Spine computed tomography; Sagittal slice 355/512; W/L 1800/400 HU; image 162 mm wide
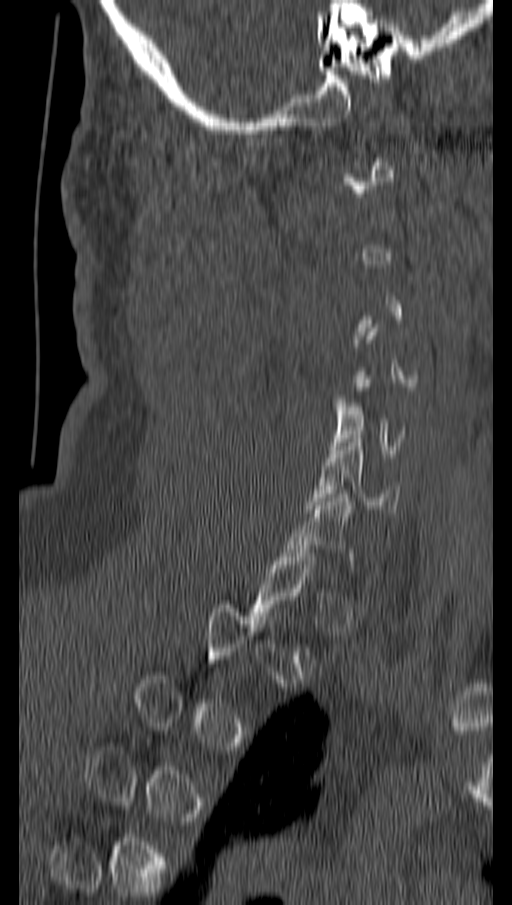

Box edges are left/top/right/bottom in pixels.
A vertebra is boxed only from the first to the last slice where its cross-section is at least a third of its largest; slices outside that range leave it without a box.
Vertebra bounding boxes:
- C5: left=330, top=383, right=406, bottom=453
- C6: left=305, top=435, right=400, bottom=513